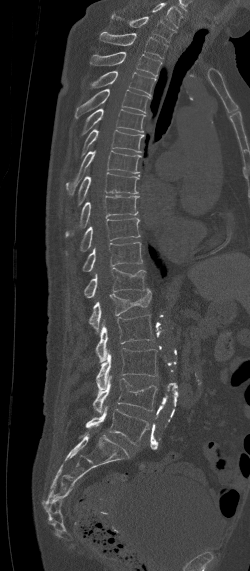 Spine computed tomography; image 250 mm wide; sagittal view
This scan's labels start at C7 at the top and end at L5 at the bottom.
<vertebrae><v name="L5" x1="78" y1="407" x2="149" y2="444"/><v name="L4" x1="92" y1="375" x2="158" y2="412"/><v name="L3" x1="96" y1="348" x2="157" y2="389"/><v name="L2" x1="96" y1="315" x2="155" y2="362"/><v name="L1" x1="89" y1="288" x2="151" y2="333"/><v name="T12" x1="84" y1="267" x2="146" y2="298"/><v name="T11" x1="83" y1="242" x2="142" y2="271"/><v name="T10" x1="66" y1="218" x2="140" y2="254"/><v name="T9" x1="66" y1="196" x2="138" y2="236"/><v name="T8" x1="78" y1="172" x2="140" y2="204"/><v name="T7" x1="66" y1="150" x2="141" y2="195"/><v name="T6" x1="81" y1="129" x2="144" y2="156"/><v name="T5" x1="80" y1="108" x2="145" y2="135"/><v name="T4" x1="75" y1="89" x2="150" y2="117"/><v name="T3" x1="91" y1="71" x2="156" y2="95"/><v name="T2" x1="90" y1="52" x2="161" y2="76"/><v name="T1" x1="99" y1="32" x2="168" y2="59"/><v name="C7" x1="112" y1="14" x2="177" y2="42"/></vertebrae>